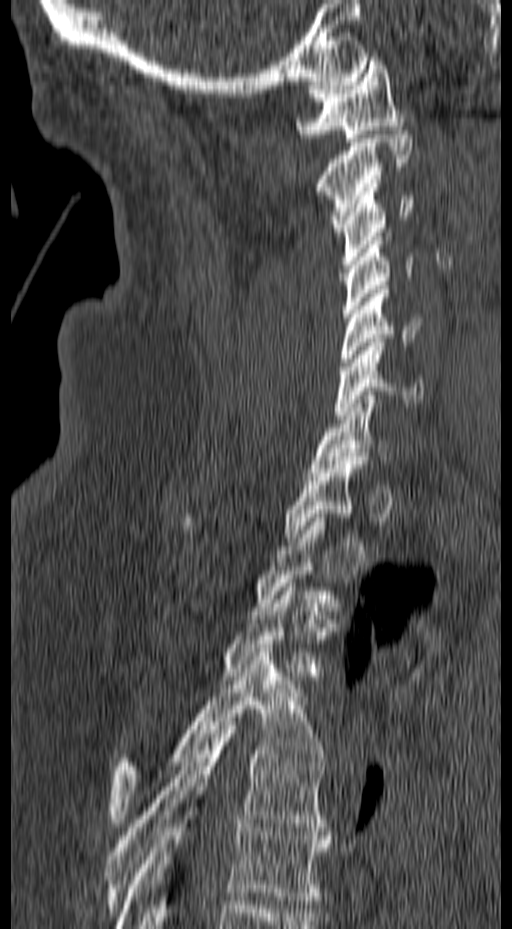

Spine computed tomography · sagittal view · 512x929 px
Coordinates as <box>x1,y1,x2,y2</box>. Not every vertebra on this slice has a box: a vertebra is boxed only from the first to the last slice where its cross-section is at least a third of its largest, and this slice is outside that range for at least one of them. Vertebrae labeled: T6 at <box>116,815,330,928</box>, T5 at <box>105,717,330,912</box>, T4 at <box>110,648,326,827</box>, T3 at <box>220,579,324,680</box>, T1 at <box>180,457,368,541</box>, C7 at <box>308,391,392,476</box>, C6 at <box>334,338,423,419</box>, C5 at <box>339,285,422,370</box>, C4 at <box>343,232,414,317</box>, C3 at <box>339,183,414,268</box>, C2 at <box>314,130,412,231</box>, C1 at <box>295,57,403,142</box>.